Spine CT · sagittal view · W/L 1800/400 HU · 175x175 px
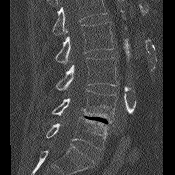

Each box given as x1,y1,x2,y2. A vertebra cut off by the top edge of the scan is not labeled and has no box. Vertebrae labeled: L2 at x1=55, y1=22, x2=113, y2=64, L3 at x1=56, y1=57, x2=118, y2=90, L4 at x1=52, y1=90, x2=117, y2=123, L5 at x1=46, y1=116, x2=107, y2=149.